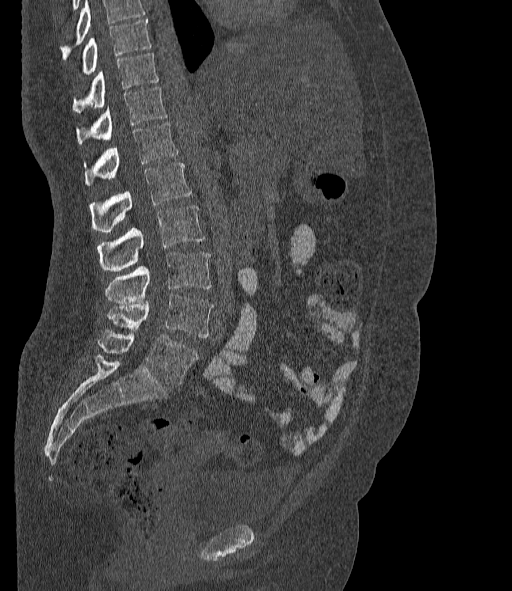
Computed tomography of the spine · sagittal reformat · Bone window (WL 400, WW 1800) · image width 377 mm · 512x591 px
A vertebra cut off by the top edge of the scan is not labeled and has no box.
These labels give the spine a sixth lumbar vertebra, L6, below L5.
<vertebrae><v name="T10" x1="83" y1="19" x2="151" y2="74"/><v name="T11" x1="72" y1="53" x2="159" y2="112"/><v name="T12" x1="76" y1="87" x2="167" y2="144"/><v name="L1" x1="84" y1="122" x2="178" y2="185"/><v name="L2" x1="89" y1="163" x2="192" y2="231"/><v name="L3" x1="98" y1="205" x2="204" y2="271"/><v name="L4" x1="104" y1="253" x2="211" y2="303"/><v name="L5" x1="107" y1="295" x2="213" y2="337"/><v name="L6" x1="98" y1="330" x2="198" y2="383"/></vertebrae>